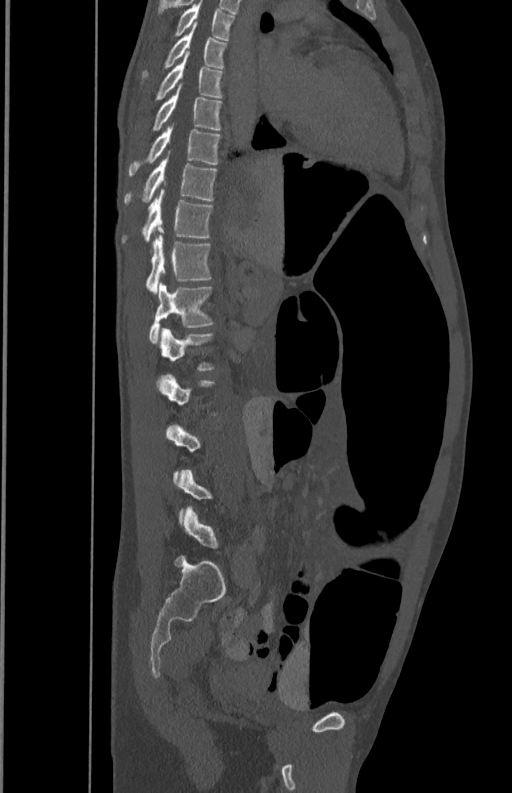
CT, spine. sagittal view. bone-window reconstruction. 512x793 px
Each vertebra maps to its box as [x1, y1, x2, y2], the pixel coordinates of its top-left and bottom-right corners.
A vertebra is boxed only from the first to the last slice where its cross-section is at least a third of its largest; slices outside that range leave it without a box.
{"vertebrae":{"T5":[175,1,234,40],"T6":[143,25,226,77],"T7":[155,53,223,99],"T8":[152,84,221,131],"T9":[128,124,220,175],"T10":[124,155,217,203],"T11":[123,190,212,241],"T12":[146,236,211,294],"L1":[149,282,212,343],"L2":[159,328,214,370]}}